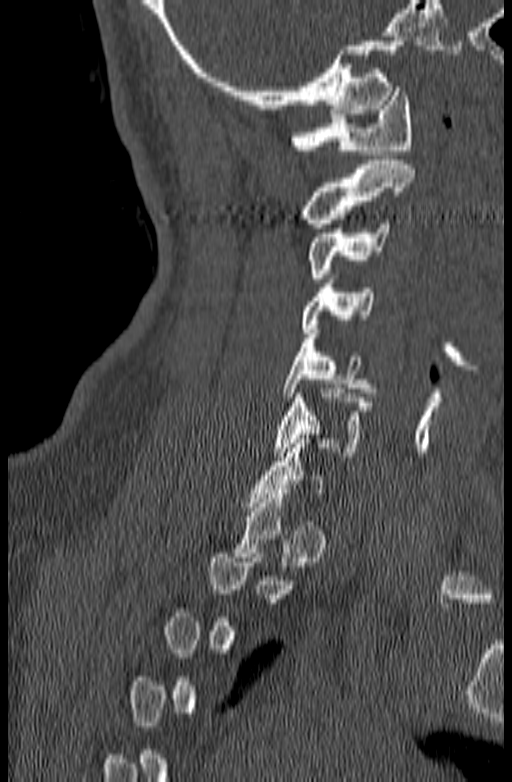

CT · sagittal view · 512x782 px

Boxes are (x1, y1, x2, y2) in pixels. A vertebra gets a box only on the slices from the first to the last where its cross-section is at least a third of its largest; on a slice outside that range it gets none. Vertebrae labeled: C6 at (274, 389, 372, 456), C5 at (282, 334, 376, 397), C4 at (301, 283, 374, 333), C3 at (308, 219, 389, 278), C2 at (301, 160, 415, 228), C1 at (291, 87, 414, 154).